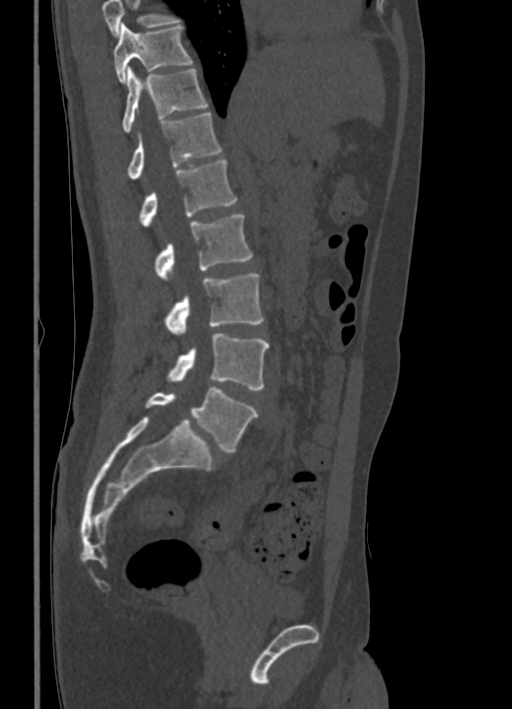
Computed tomography of the spine. sagittal view

Where the top of the scan cuts through a vertebra, that vertebra gets no label or box.
<vertebrae><v name="T10" x1="114" y1="23" x2="192" y2="83"/><v name="T11" x1="122" y1="67" x2="208" y2="133"/><v name="T12" x1="126" y1="112" x2="221" y2="178"/><v name="L1" x1="138" y1="160" x2="237" y2="226"/><v name="L2" x1="154" y1="215" x2="252" y2="280"/><v name="L3" x1="163" y1="273" x2="264" y2="334"/><v name="L4" x1="166" y1="334" x2="269" y2="390"/><v name="L5" x1="145" y1="387" x2="258" y2="451"/></vertebrae>